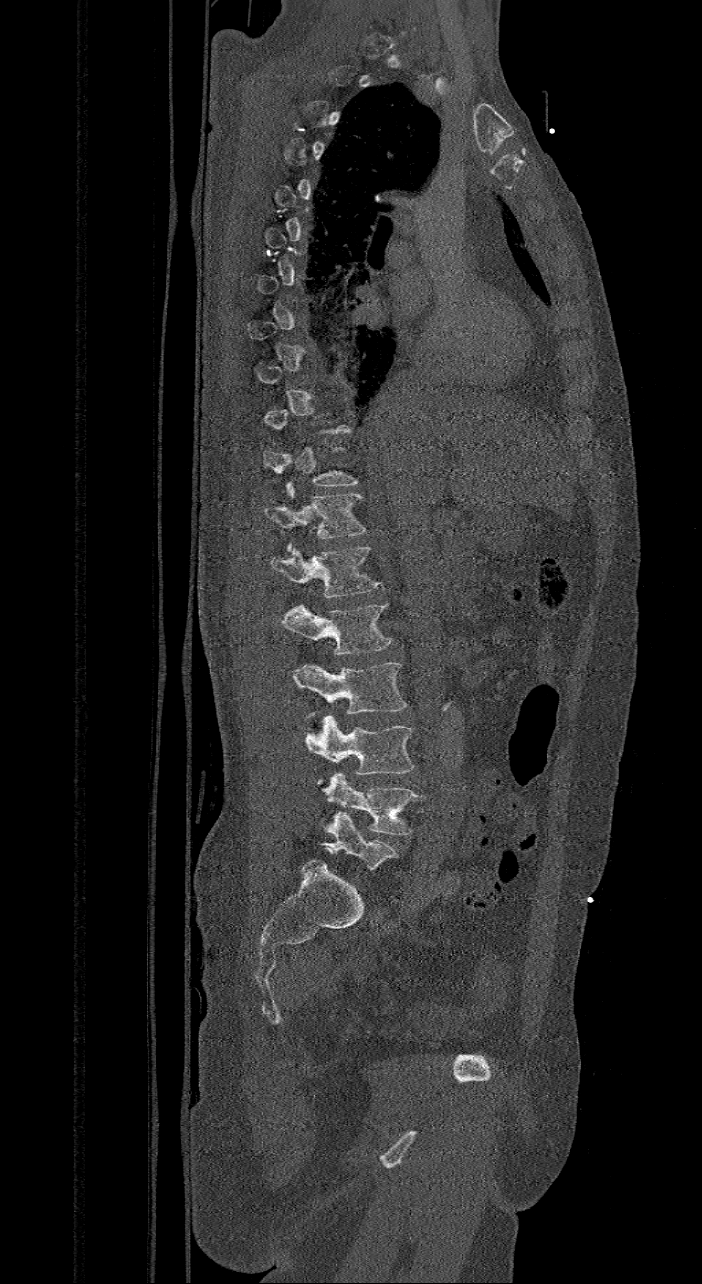

CT, spine · sagittal view · 421 mm image width · W/L 1800/400 HU · 702x1284 px
Each vertebra is boxed only on the slices from the first to the last where its cross-section reaches a third of its largest, so a slice outside that range leaves it unboxed.
The labels name a sixth lumbar vertebra for this spine: L6, after L5.
<vertebrae><v name="L6" x1="323" y1="812" x2="398" y2="870"/><v name="L5" x1="323" y1="773" x2="422" y2="835"/><v name="L4" x1="304" y1="714" x2="414" y2="783"/><v name="L3" x1="293" y1="663" x2="407" y2="717"/><v name="L2" x1="280" y1="603" x2="391" y2="655"/><v name="L1" x1="271" y1="547" x2="383" y2="596"/><v name="T12" x1="264" y1="484" x2="365" y2="551"/></vertebrae>